CT spine — sagittal plane, index 182 — W/L 1800/400 HU — scan covers 10 annotated vertebrae
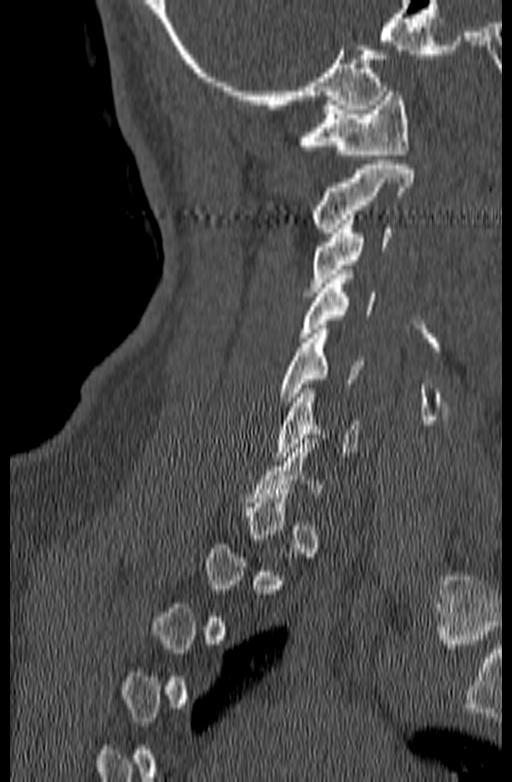
Boxes are (x1, y1, x2, y2) in pixels.
Not every vertebra on this slice has a box: a vertebra is boxed only from the first to the last slice where its cross-section is at least a third of its largest, and this slice is outside that range for at least one of them.
C1: (299, 87, 409, 154)
C2: (312, 160, 413, 232)
C3: (308, 215, 391, 296)
C4: (298, 274, 374, 342)
C5: (279, 329, 365, 406)
C6: (275, 389, 360, 461)